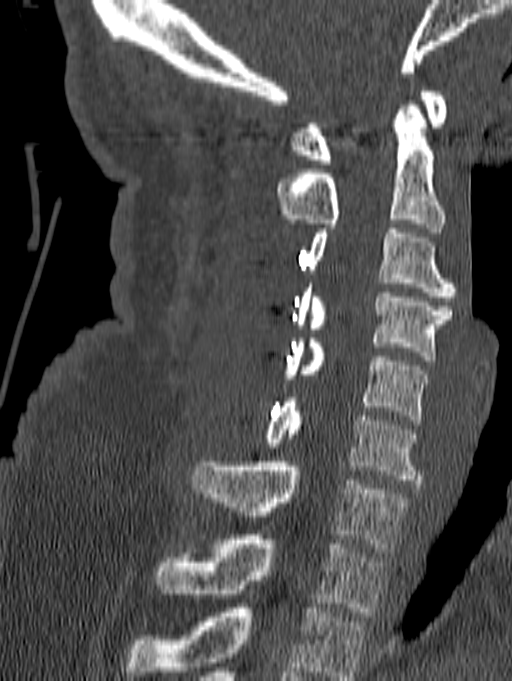

Spine computed tomography — sagittal view — 512x681 px — 140 mm wide
This scan's labels start at C1 at the top and end at T1 at the bottom.
<vertebrae><v name="C1" x1="289" y1="91" x2="446" y2="164"/><v name="C2" x1="276" y1="105" x2="444" y2="232"/><v name="C3" x1="307" y1="229" x2="456" y2="301"/><v name="C4" x1="294" y1="283" x2="451" y2="360"/><v name="C5" x1="283" y1="338" x2="428" y2="424"/><v name="C6" x1="265" y1="398" x2="421" y2="484"/><v name="C7" x1="192" y1="462" x2="410" y2="552"/><v name="T1" x1="155" y1="535" x2="386" y2="616"/></vertebrae>